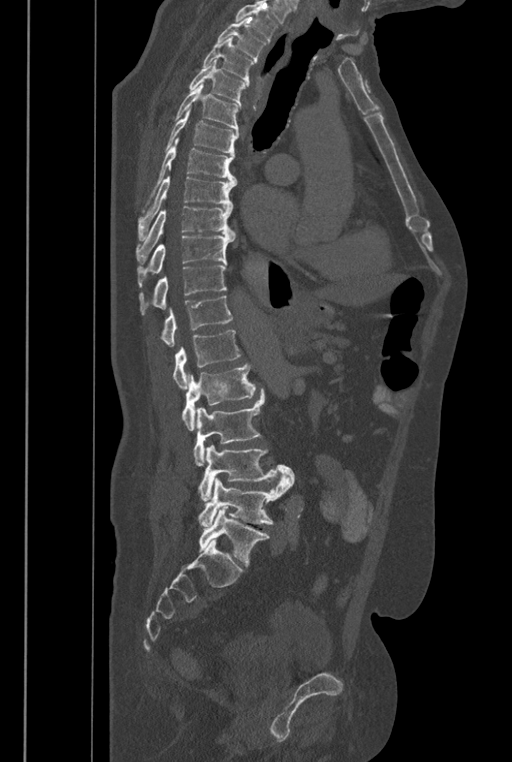

CT. sagittal view. W/L 1800/400 HU. 512x762 px. the image spans 446 mm across. Boxes: x1:y1:x2:y2 in pixels. Where the top of the scan cuts through a vertebra, that vertebra gets no label or box. The labels name a sixth lumbar vertebra for this spine: L6, after L5. 17 vertebrae labeled — L6 at 199:506:269:565; L5 at 197:475:291:526; L4 at 198:444:294:501; L3 at 194:388:264:465; L2 at 181:363:255:430; L1 at 172:330:240:389; T12 at 161:295:232:346; T11 at 139:264:226:314; T10 at 138:236:233:286; T9 at 136:206:235:263; T8 at 138:176:237:241; T7 at 141:137:237:212; T6 at 163:107:238:153; T5 at 174:82:239:134; T4 at 188:59:246:107; T3 at 203:37:255:86; T2 at 216:18:266:62.